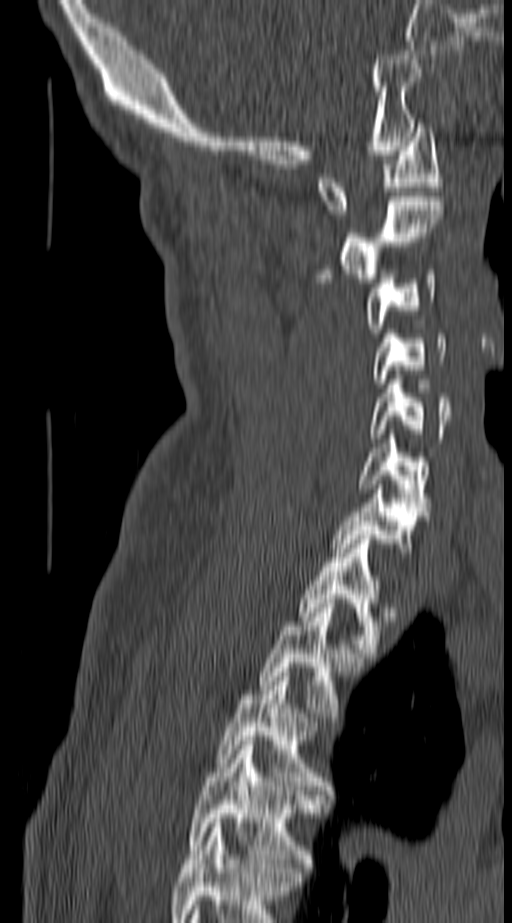
CT spine. sagittal view. bone-window reconstruction. Bounding boxes as [x1, y1, x2, y2] in pixel coordinates.
This scan's labels start at C1 at the top and end at T4 at the bottom.
Vertebra bounding boxes:
- C1: [316, 123, 441, 214]
- C2: [316, 197, 443, 282]
- C3: [363, 270, 436, 333]
- C4: [371, 334, 447, 383]
- C5: [367, 370, 452, 442]
- C6: [358, 434, 429, 511]
- C7: [334, 485, 426, 552]
- T1: [298, 535, 393, 657]
- T2: [257, 599, 361, 717]
- T3: [217, 672, 329, 790]
- T4: [188, 741, 319, 872]